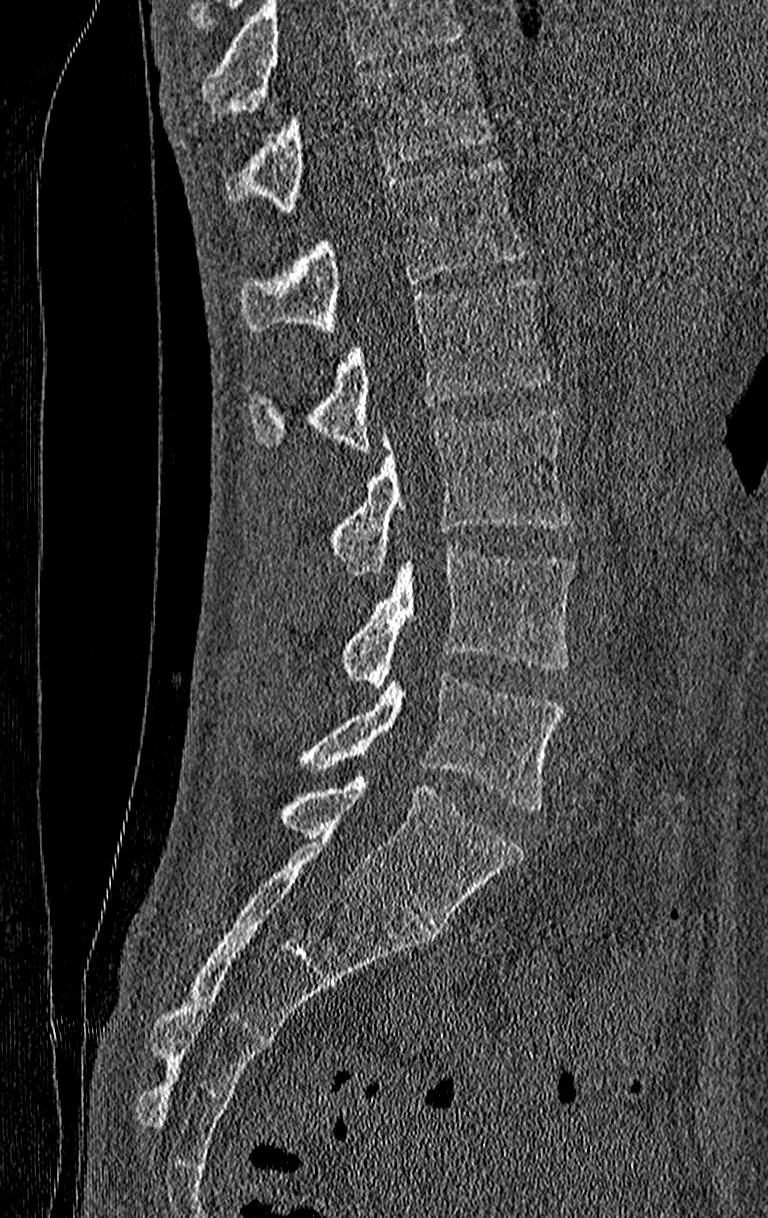
CT spine. sagittal view. Bone window (WL 400, WW 1800). 768x1218 px
Boxes: x1 y1 x2 y2 (pixel coords, space-separated). No box is given to a vertebra that the top edge of the scan cuts off. The highest labeled vertebra in this scan is T11; the lowest is L4. Vertebrae labeled: T11 at 225 56 491 211, T12 at 240 158 524 333, L1 at 247 278 550 450, L2 at 328 410 572 573, L3 at 342 546 575 687, L4 at 295 673 565 812.